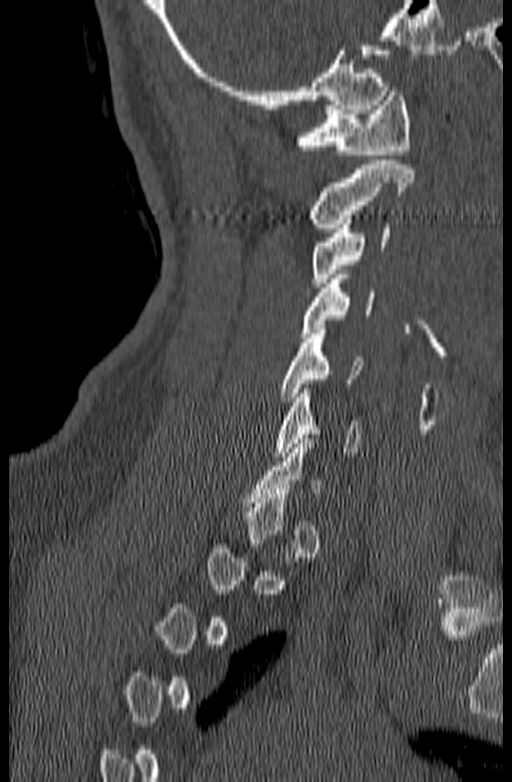

Spine computed tomography · the image spans 140 mm across · sagittal reformat. Boxes: x1 y1 x2 y2 (pixel coords, space-separated).
Each vertebra is boxed only on the slices from the first to the last where its cross-section reaches a third of its largest, so a slice outside that range leaves it unboxed.
Vertebra bounding boxes:
- C1: 297 87 410 154
- C2: 309 160 414 232
- C3: 312 219 389 282
- C4: 302 274 373 337
- C5: 279 329 363 401
- C6: 274 389 360 461